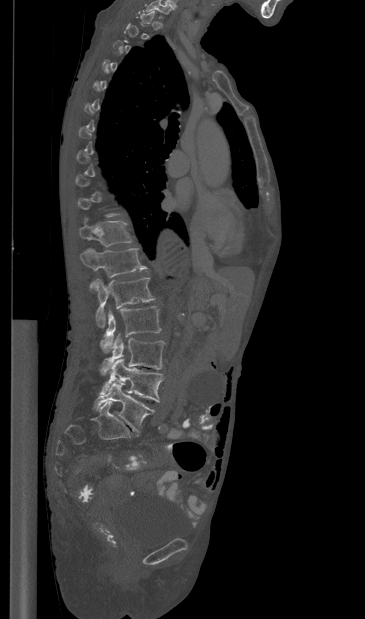 Spine computed tomography. sagittal view. 365 mm across the image
Boxes below are [x1, y1, x2, y2] in pixels.
A vertebra gets a box only on the slices from the first to the last where its cross-section is at least a third of its largest; on a slice outside that range it gets none.
{"vertebrae":{"T11":[79,218,132,246],"T12":[80,248,146,289],"L1":[93,278,154,327],"L2":[100,306,161,352],"L3":[100,334,165,375],"L4":[100,359,162,402],"L5":[93,383,154,432]}}